Spine CT; the image is 168 mm wide; Sagittal slice 115/168
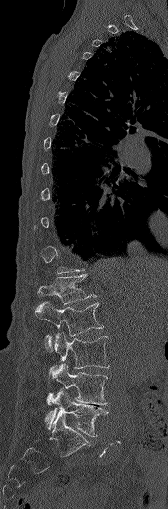 Each box given as x1,y1,x2,y2.
Not every vertebra on this slice has a box: a vertebra is boxed only from the first to the last slice where its cross-section is at least a third of its largest, and this slice is outside that range for at least one of them.
Vertebra bounding boxes:
- L5: x1=45, y1=389, x2=106, y2=436
- L4: x1=46, y1=363, x2=107, y2=406
- L3: x1=50, y1=333, x2=109, y2=375
- L2: x1=35, y1=301, x2=103, y2=351
- L1: x1=37, y1=275, x2=95, y2=304